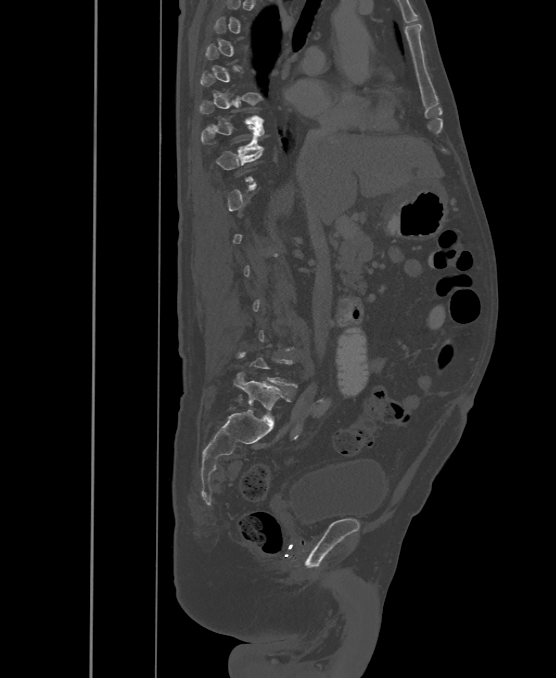

CT; sagittal view; W/L 1800/400 HU; image 500 mm wide
Not every vertebra on this slice has a box: a vertebra is boxed only from the first to the last slice where its cross-section is at least a third of its largest, and this slice is outside that range for at least one of them.
These labels give the spine a sixth lumbar vertebra, L6, below L5.
<vertebrae><v name="T10" x1="201" y1="120" x2="264" y2="152"/><v name="L6" x1="234" y1="373" x2="290" y2="419"/></vertebrae>